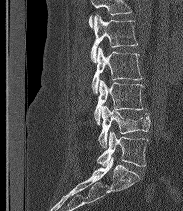

CT, spine. sagittal view. 183 mm wide. bone window
A vertebra cut off by the top edge of the scan is not labeled and has no box.
The labels name a sixth lumbar vertebra for this spine: L6, after L5.
<vertebrae><v name="L2" x1="90" y1="14" x2="138" y2="62"/><v name="L3" x1="91" y1="47" x2="143" y2="93"/><v name="L4" x1="94" y1="80" x2="143" y2="124"/><v name="L5" x1="98" y1="106" x2="150" y2="147"/><v name="L6" x1="97" y1="131" x2="148" y2="166"/></vertebrae>